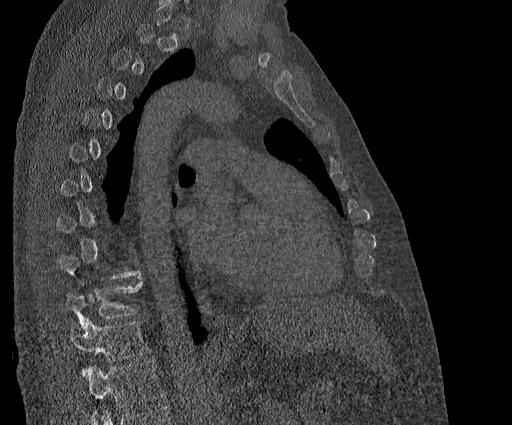

Computed tomography of the spine. 384 mm wide. sagittal view. Bone window (WL 400, WW 1800). 512x425 px
Each vertebra is boxed only on the slices from the first to the last where its cross-section reaches a third of its largest, so a slice outside that range leaves it unboxed.
This scan's labels start at T2 at the top and end at T11 at the bottom.
<vertebrae><v name="T11" x1="70" y1="319" x2="149" y2="375"/><v name="T10" x1="66" y1="275" x2="142" y2="328"/></vertebrae>